Spine computed tomography · sagittal plane, index 297 · 527x755 px · 474 mm wide
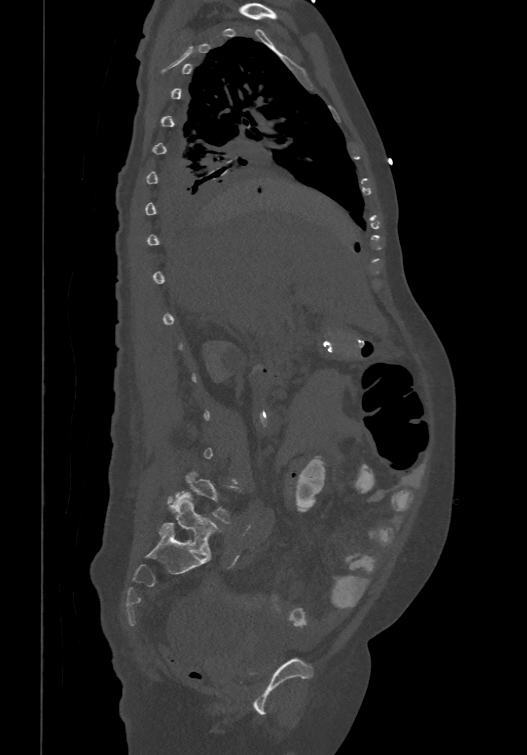

A vertebra is boxed only from the first to the last slice where its cross-section is at least a third of its largest; slices outside that range leave it without a box.
In these labels the spine has an L6, a sixth lumbar vertebra below L5.
<vertebrae><v name="L6" x1="158" y1="492" x2="219" y2="556"/><v name="L5" x1="168" y1="472" x2="236" y2="523"/></vertebrae>